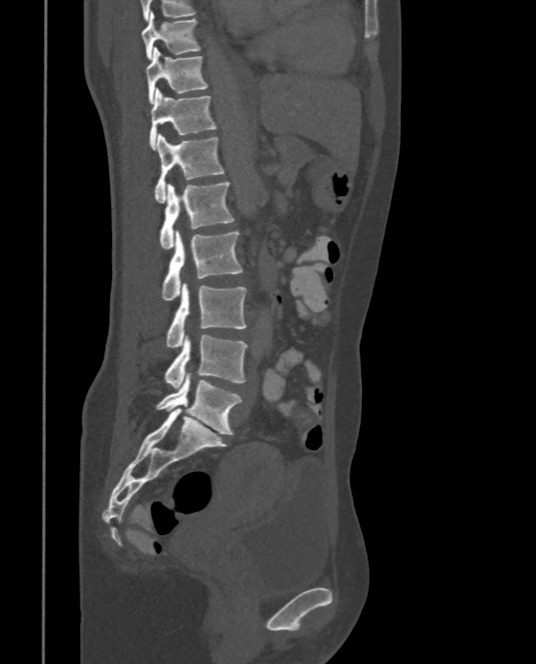
CT — sagittal view — Bone window (WL 400, WW 1800) — 536x664 px
Each vertebra maps to its box as [x1, y1, x2, y2], the pixel coordinates of its top-left and bottom-right corners.
{"vertebrae":{"T9":[141,11,200,59],"T10":[145,47,207,103],"T11":[150,88,216,149],"T12":[154,133,225,202],"L1":[160,181,234,249],"L2":[162,230,243,300],"L3":[165,283,246,347],"L4":[164,334,247,387],"L5":[156,373,242,435]}}